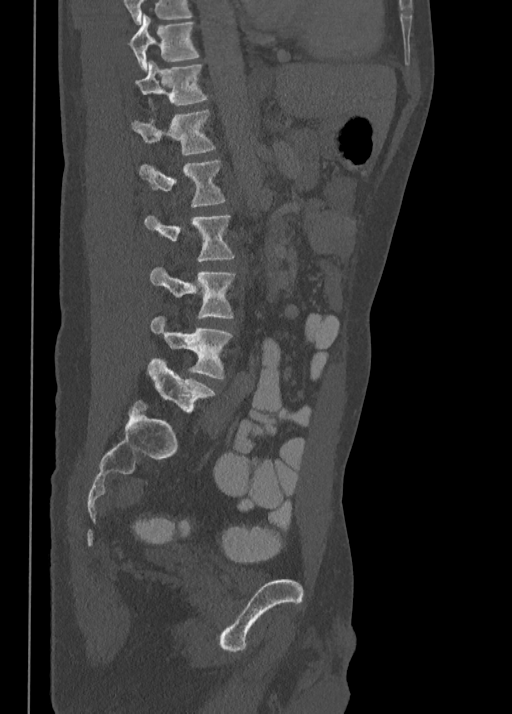 Computed tomography of the spine — sagittal view — 350 mm across the image
Each row gives a vertebra's box as x1, y1, x2, y2 in pixels: top-left corner, then bottom-right corner.
| vertebra | x1 | y1 | x2 | y2 |
|---|---|---|---|---|
| T10 | 130 | 14 | 199 | 69 |
| T11 | 136 | 61 | 208 | 106 |
| T12 | 131 | 109 | 215 | 156 |
| L1 | 139 | 159 | 226 | 207 |
| L2 | 145 | 215 | 234 | 261 |
| L3 | 150 | 266 | 236 | 318 |
| L4 | 150 | 316 | 233 | 379 |
| L5 | 148 | 358 | 214 | 412 |